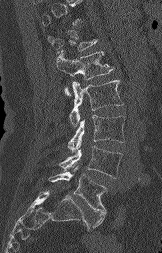 CT spine. sagittal view. bone-window reconstruction
Box edges are left/top/right/bottom in pixels.
A vertebra is boxed only from the first to the last slice where its cross-section is at least a third of its largest; slices outside that range leave it without a box.
L5: left=49, top=166, right=106, bottom=228
L4: left=59, top=146, right=122, bottom=178
L3: left=68, top=115, right=125, bottom=151
L2: left=69, top=80, right=123, bottom=126
L1: left=56, top=51, right=114, bottom=95